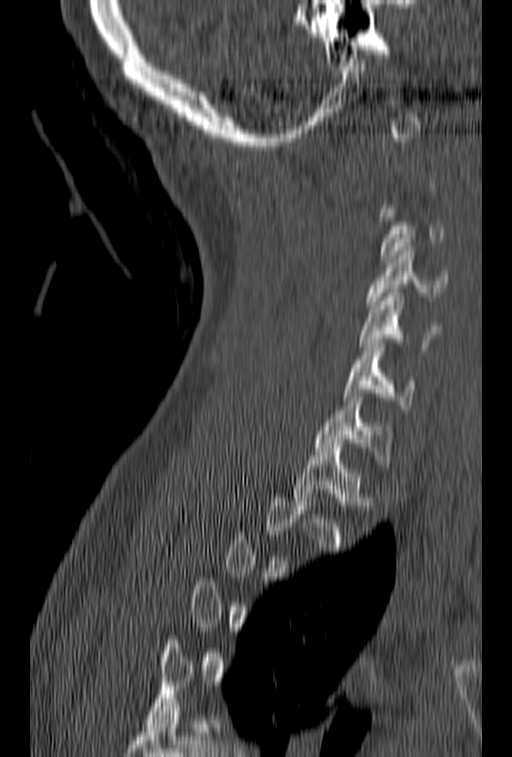

CT — 153 mm image width — sagittal view — Bone window (WL 400, WW 1800) — 512x757 px

Coordinates as <box>x1,y1,x2,y2</box>.
Each vertebra is boxed only on the slices from the first to the last where its cross-section reaches a third of its largest, so a slice outside that range leaves it unboxed.
T1: <box>294,443,371,509</box>
C7: <box>316,393,392,463</box>
C6: <box>343,343,415,413</box>
C5: <box>359,293,440,350</box>
C4: <box>366,247,448,309</box>
C3: <box>379,205,445,263</box>